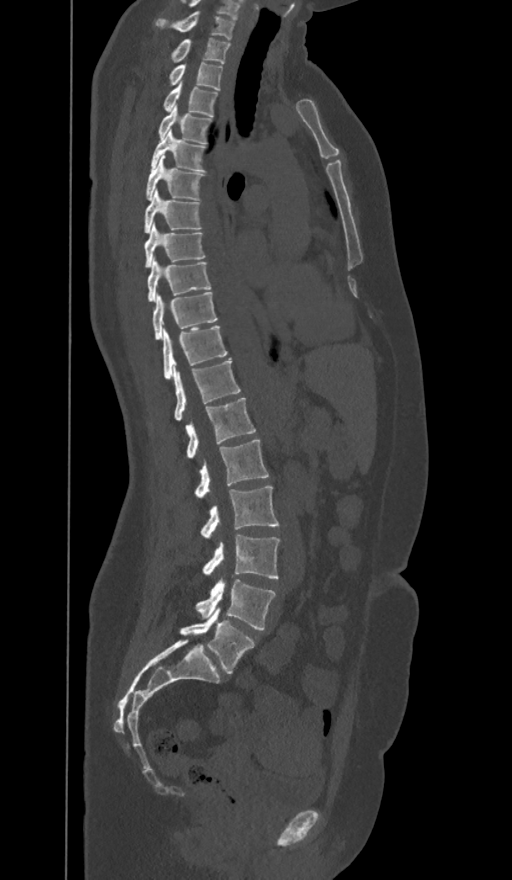 CT spine; sagittal view; bone window
The labels name a sixth lumbar vertebra for this spine: L6, after L5.
<vertebrae><v name="C7" x1="156" y1="11" x2="234" y2="40"/><v name="T1" x1="171" y1="38" x2="229" y2="63"/><v name="T2" x1="170" y1="63" x2="222" y2="89"/><v name="T3" x1="164" y1="83" x2="216" y2="116"/><v name="T4" x1="159" y1="106" x2="211" y2="143"/><v name="T5" x1="150" y1="129" x2="205" y2="171"/><v name="T6" x1="146" y1="155" x2="203" y2="200"/><v name="T7" x1="145" y1="190" x2="200" y2="233"/><v name="T8" x1="144" y1="223" x2="204" y2="266"/><v name="T9" x1="148" y1="259" x2="211" y2="301"/><v name="T10" x1="153" y1="292" x2="216" y2="339"/><v name="T11" x1="163" y1="325" x2="227" y2="380"/><v name="T12" x1="174" y1="360" x2="240" y2="420"/><v name="L1" x1="186" y1="398" x2="255" y2="457"/><v name="L2" x1="194" y1="439" x2="269" y2="498"/><v name="L3" x1="201" y1="485" x2="278" y2="537"/><v name="L4" x1="202" y1="535" x2="279" y2="578"/><v name="L5" x1="196" y1="579" x2="274" y2="630"/><v name="L6" x1="181" y1="607" x2="253" y2="673"/></vertebrae>